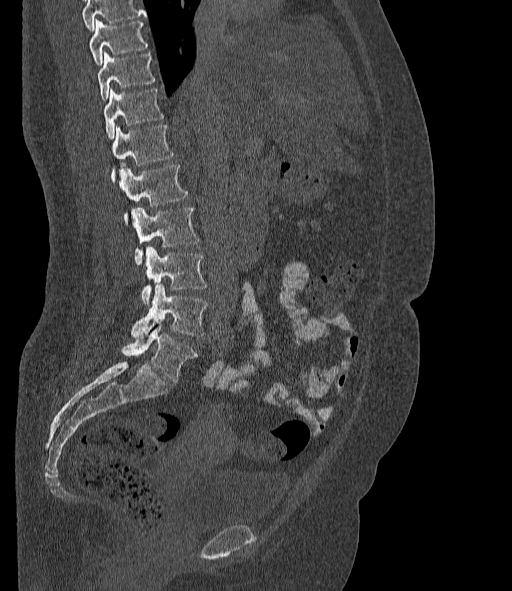
CT spine · sagittal reformat · 512x591 px
Boxes are (x1, y1, x2, y2) in pixels.
A vertebra cut off by the top edge of the scan is not labeled and has no box.
In these labels the spine has an L6, a sixth lumbar vertebra below L5.
L6: (122, 322, 197, 381)
L5: (130, 284, 208, 336)
L4: (141, 247, 207, 305)
L3: (130, 208, 198, 265)
L2: (118, 164, 188, 223)
L1: (111, 125, 173, 180)
T12: (103, 88, 163, 139)
T11: (98, 52, 155, 99)
T10: (89, 20, 147, 64)